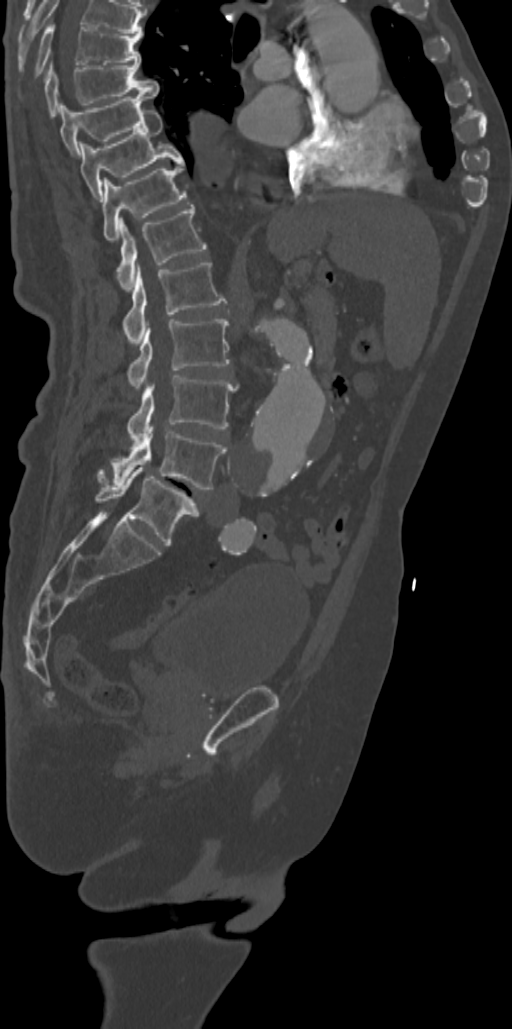

CT, spine; sagittal view; bone-window reconstruction; 512x1029 px
In this scan, the topmost labeled vertebra is T7 and the lowest is L5.
<vertebrae><v name="L5" x1="96" y1="467" x2="198" y2="545"/><v name="L4" x1="97" y1="427" x2="226" y2="489"/><v name="L3" x1="127" y1="375" x2="237" y2="446"/><v name="L2" x1="127" y1="319" x2="229" y2="388"/><v name="L1" x1="123" y1="263" x2="225" y2="345"/><v name="T12" x1="117" y1="204" x2="207" y2="291"/><v name="T11" x1="103" y1="162" x2="186" y2="242"/><v name="T10" x1="79" y1="108" x2="183" y2="201"/><v name="T9" x1="60" y1="94" x2="152" y2="154"/><v name="T8" x1="45" y1="63" x2="158" y2="116"/><v name="T7" x1="34" y1="22" x2="141" y2="75"/></vertebrae>